Computed tomography of the spine · sagittal reformat · 230x400 px
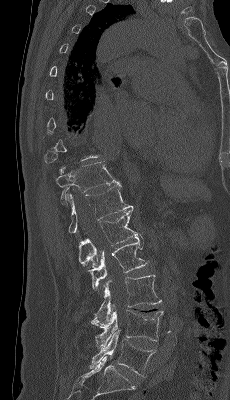

Each vertebra maps to its box as [x1, y1, x2, y2], the pixel coordinates of its top-left and bottom-right corners.
Each vertebra is boxed only on the slices from the first to the last where its cross-section reaches a third of its largest, so a slice outside that range leaves it unboxed.
{"vertebrae":{"L5":[89,329,155,377],"L4":[95,310,163,348],"L3":[91,275,161,327],"L2":[89,234,148,289],"L1":[78,210,138,268],"T12":[67,183,133,237],"T11":[56,162,119,205]}}